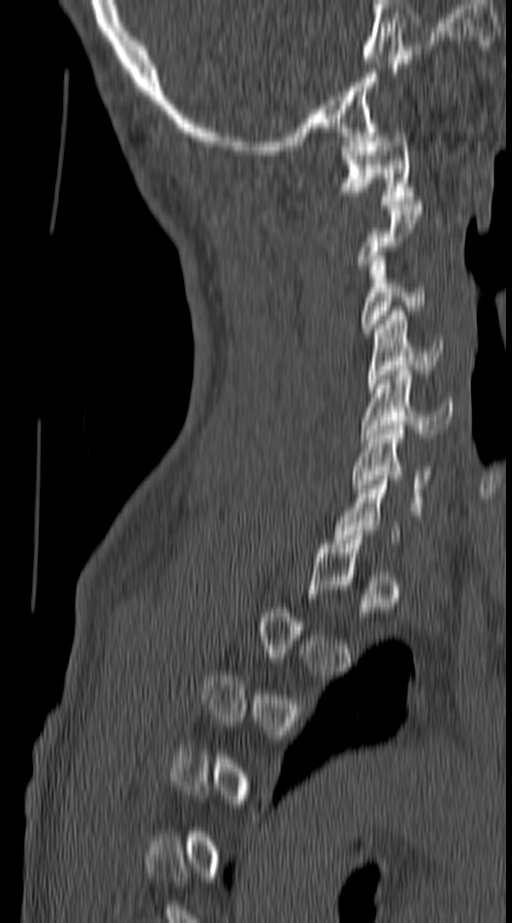
Spine computed tomography — sagittal view — bone window — 512x923 px. Boxes: x1:y1:x2:y2 in pixels.
A vertebra is boxed only from the first to the last slice where its cross-section is at least a third of its largest; slices outside that range leave it without a box.
C1: 338:128:414:205
C3: 360:256:425:333
C4: 367:311:441:388
C5: 361:370:453:442
C6: 350:425:431:511